Computed tomography of the spine. sagittal view. bone-window reconstruction. the image is 204 mm wide. 204x205 px
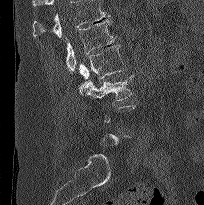 Columns x1, y1, x2, y2 give each box's top-left and bottom-right pixels.
A vertebra is boxed only from the first to the last slice where its cross-section is at least a third of its largest; slices outside that range leave it without a box.
Where the top of the scan cuts through a vertebra, that vertebra gets no label or box.
| vertebra | x1 | y1 | x2 | y2 |
|---|---|---|---|---|
| L3 | 79 | 74 | 133 | 104 |
| L2 | 79 | 44 | 126 | 79 |
| L1 | 65 | 19 | 116 | 73 |